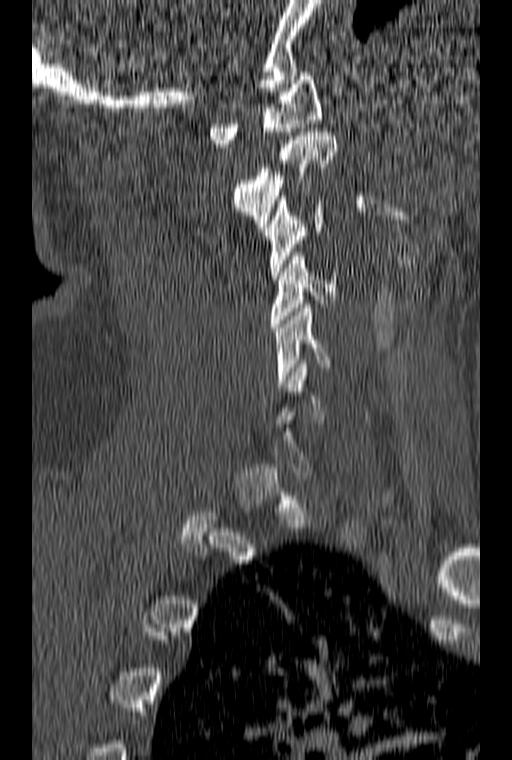

Spine computed tomography. 160 mm across the image. sagittal view

Boxes below are [x1, y1, x2, y2] in pixels.
Each vertebra is boxed only on the slices from the first to the last where its cross-section reaches a third of its largest, so a slice outside that range leaves it unboxed.
{"vertebrae":{"C1":[209,72,321,147],"C2":[231,128,337,227],"C3":[263,196,325,279],"C4":[270,252,338,331],"C5":[274,304,330,387]}}